CT spine · sagittal view · bone window · 556x545 px
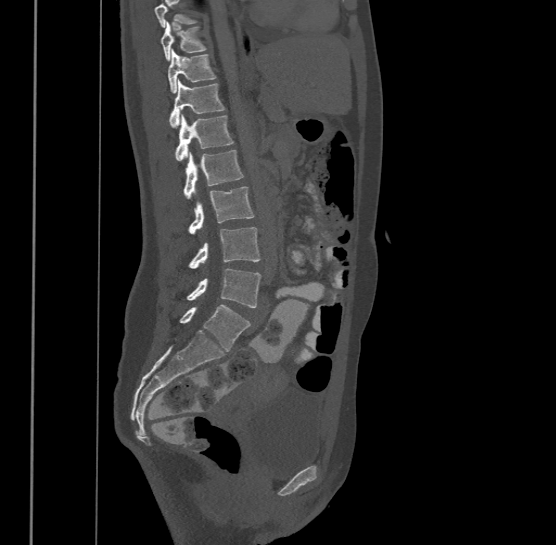 Each vertebra maps to its box as [x1, y1, x2, y2], the pixel coordinates of its top-left and bottom-right corners.
Vertebrae that run past the top of the scan are left unlabeled.
Labels in this scan begin with T9 at the top and end with L4 at the bottom.
{"vertebrae":{"T9":[160,21,206,60],"T10":[168,49,216,92],"T11":[169,78,225,127],"T12":[176,113,233,160],"L1":[183,150,243,199],"L2":[189,186,253,233],"L3":[189,227,261,268],"L4":[187,268,261,307]}}